CT — sagittal view — Bone window (WL 400, WW 1800) — 512x642 px
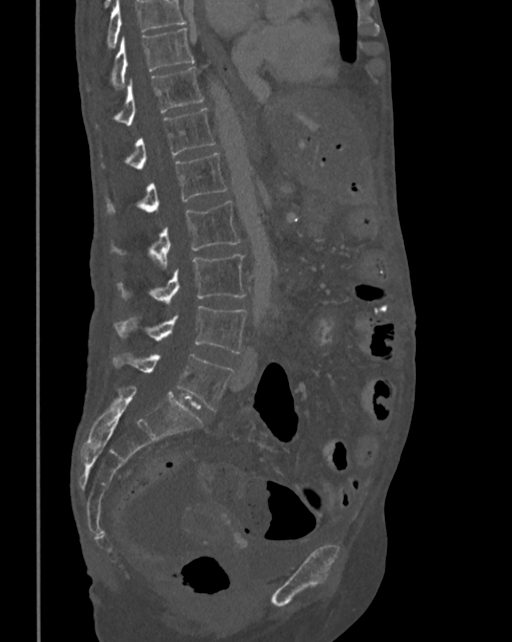 Boxes: x1 y1 x2 y2 (pixel coords, space-separated).
A vertebra cut off by the top edge of the scan is not labeled and has no box.
Vertebra bounding boxes:
- T10: 111 27 193 88
- T11: 97 66 204 127
- T12: 126 108 216 169
- L1: 106 153 228 214
- L2: 111 201 241 267
- L3: 118 254 246 305
- L4: 115 306 247 353
- L5: 112 354 232 411